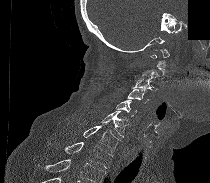 Spine computed tomography; sagittal view; bone window; the image is 210 mm wide; part of the scan has been removed (filled with constant black)

Boxes: x1:y1:x2:y2 in pixels.
Each vertebra is boxed only on the slices from the first to the last where its cross-section reaches a third of its largest, so a slice outside that range leaves it unboxed.
A vertebra cut off by the bottom edge of the scan is not labeled and has no box.
C1: 150:49:169:66
C3: 132:75:157:91
C4: 127:88:150:103
C5: 115:100:136:116
C6: 100:111:128:137
C7: 83:123:118:151
T1: 64:142:112:168